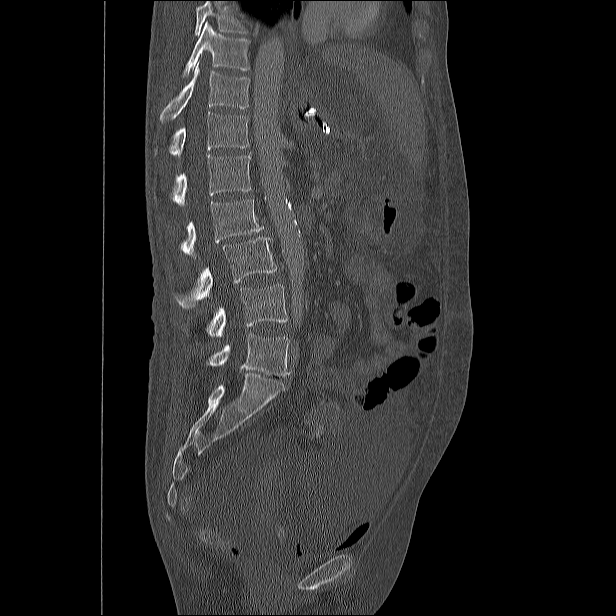

Computed tomography of the spine. sagittal view

A vertebra cut off by the top edge of the scan is not labeled and has no box.
<vertebrae><v name="L5" x1="207" y1="334" x2="290" y2="376"/><v name="L4" x1="183" y1="284" x2="288" y2="338"/><v name="L3" x1="175" y1="238" x2="276" y2="308"/><v name="L2" x1="180" y1="199" x2="263" y2="257"/><v name="L1" x1="171" y1="152" x2="251" y2="206"/><v name="T12" x1="169" y1="111" x2="249" y2="157"/><v name="T11" x1="160" y1="64" x2="249" y2="123"/><v name="T10" x1="183" y1="22" x2="249" y2="77"/></vertebrae>